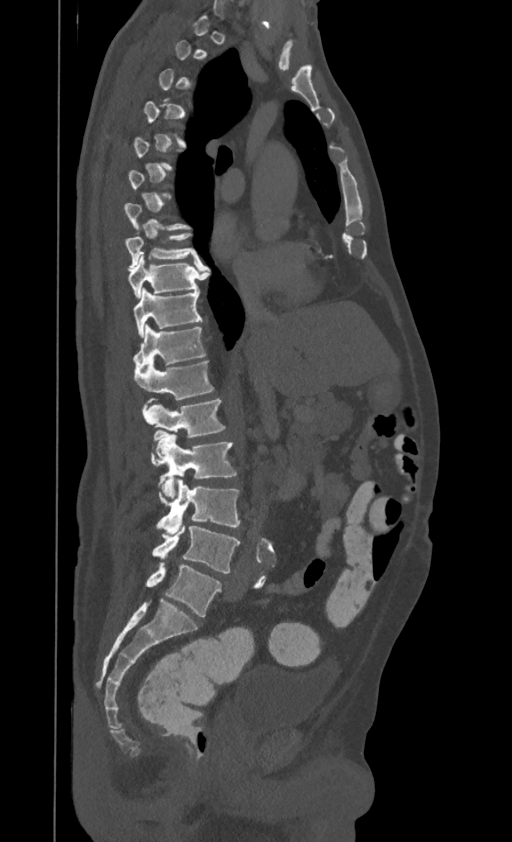

Spine CT — sagittal reformat — 395 mm image width — 512x842 px

Boxes are (x1, y1, x2, y2) in pixels. A vertebra gets a box only on the slices from the first to the last where its cross-section is at least a third of its largest; on a slice outside that range it gets none. This scan's labels start at T1 at the top and end at L4 at the bottom. 9 vertebrae labeled — T8 at (126, 233, 200, 268); T9 at (128, 251, 205, 299); T10 at (133, 288, 202, 337); T11 at (133, 324, 205, 370); T12 at (135, 359, 213, 404); L1 at (142, 398, 224, 436); L2 at (152, 430, 236, 498); L3 at (157, 479, 240, 534); L4 at (153, 521, 239, 573).